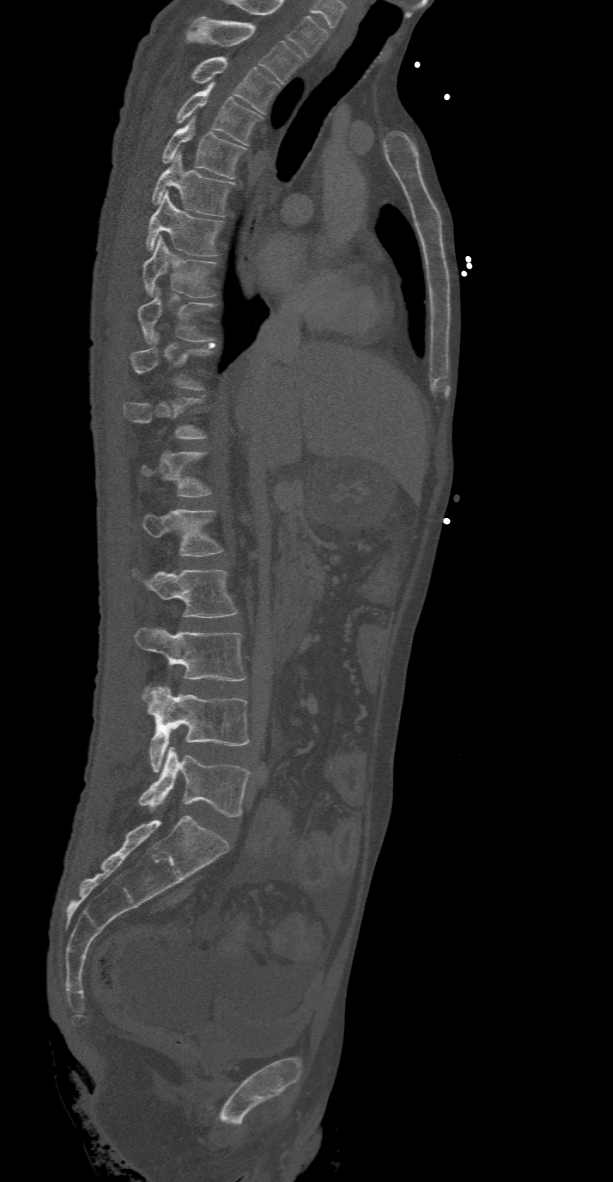
CT spine — sagittal view — bone window

Boxes are given in columns x1, y1, x2, y2, the pixel coordinates of their top-left and bottom-right corners.
A vertebra gets a box only on the slices from the first to the last where its cross-section is at least a third of its largest; on a slice outside that range it gets none.
| vertebra | x1 | y1 | x2 | y2 |
|---|---|---|---|---|
| T2 | 188 | 16 | 303 | 83 |
| T3 | 192 | 57 | 281 | 111 |
| T4 | 176 | 82 | 263 | 145 |
| T5 | 162 | 115 | 246 | 178 |
| T6 | 151 | 152 | 234 | 216 |
| T7 | 146 | 191 | 222 | 256 |
| T8 | 141 | 236 | 216 | 296 |
| T9 | 137 | 288 | 213 | 342 |
| L1 | 141 | 509 | 222 | 556 |
| L2 | 146 | 569 | 237 | 618 |
| L3 | 134 | 627 | 246 | 681 |
| L4 | 143 | 686 | 251 | 771 |
| L5 | 138 | 746 | 248 | 816 |